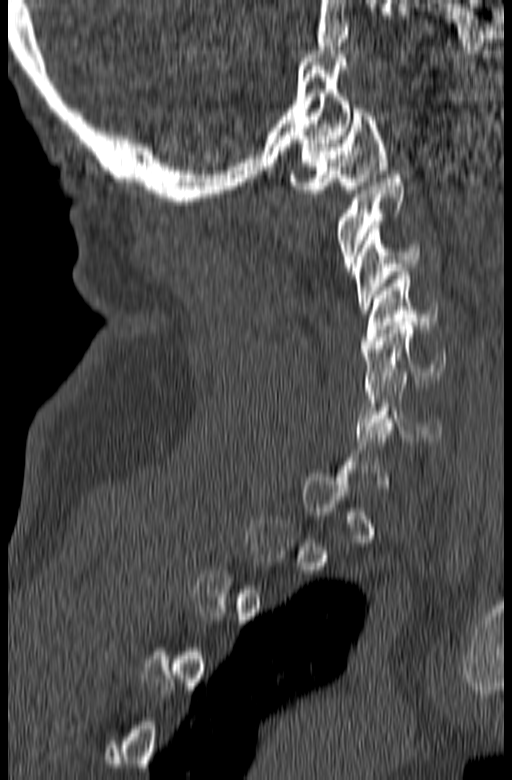 CT, spine · the image is 165 mm wide · sagittal view
Bounding boxes as [x1, y1, x2, y2] in pixel coordinates.
Each vertebra is boxed only on the slices from the first to the last where its cross-section reaches a third of its largest, so a slice outside that range leaves it unboxed.
Vertebra bounding boxes:
- C6: [356, 376, 442, 441]
- C5: [362, 322, 446, 391]
- C4: [362, 272, 438, 348]
- C3: [353, 225, 419, 313]
- C2: [336, 175, 404, 271]
- C1: [290, 105, 388, 193]